Spine CT; sagittal plane, index 208; Bone window (WL 400, WW 1800)
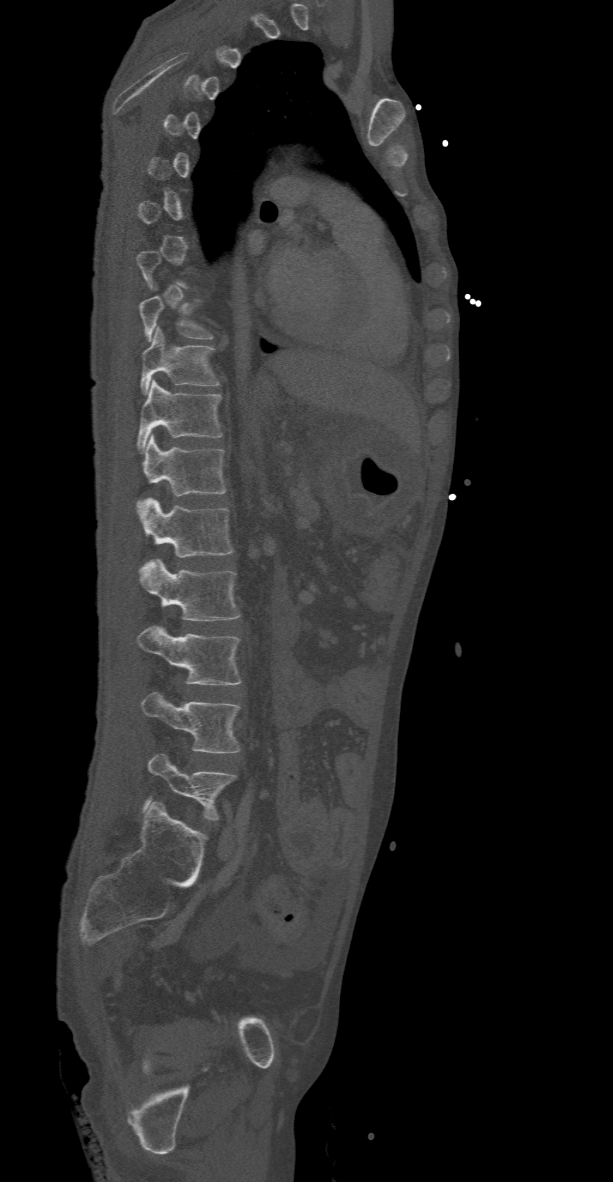

Boxes: x1 y1 x2 y2 (pixel coords, space-separated). A vertebra is boxed only from the first to the last slice where its cross-section is at least a third of its largest; slices outside that range leave it without a box. 9 vertebrae labeled — T9 at 138 296 212 341; T10 at 140 327 218 393; T11 at 137 379 222 452; T12 at 138 434 225 505; L1 at 137 497 233 556; L2 at 138 559 241 621; L3 at 137 626 241 685; L4 at 141 692 241 753; L5 at 143 754 235 820.